Spine CT. sagittal view
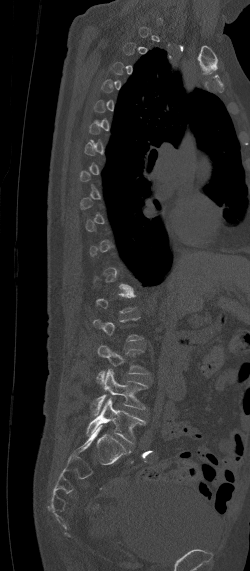 Boxes: x1:y1:x2:y2 in pixels.
Each vertebra is boxed only on the slices from the first to the last where its cross-section reaches a third of its largest, so a slice outside that range leaves it unboxed.
Vertebra bounding boxes:
- L3: 95:345:148:383
- L4: 90:369:147:415
- L5: 85:398:145:442